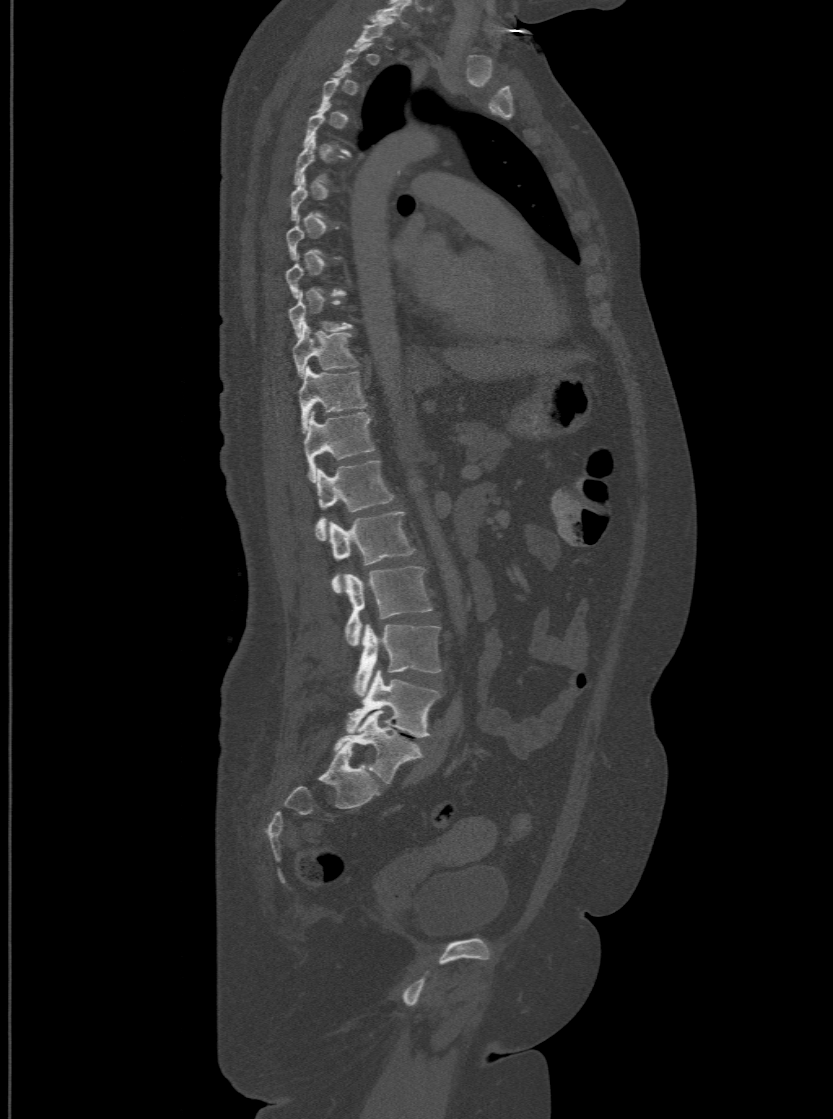

CT spine; sagittal reformat; 833x1119 px. Columns x1, y1, x2, y2 give each box's top-left and bottom-right pixels.
A vertebra gets a box only on the slices from the first to the last where its cross-section is at least a third of its largest; on a slice outside that range it gets none.
These labels give the spine a sixth lumbar vertebra, L6, below L5.
| vertebra | x1 | y1 | x2 | y2 |
|---|---|---|---|---|
| T9 | 288 | 290 | 352 | 336 |
| T10 | 293 | 322 | 357 | 376 |
| T11 | 298 | 365 | 367 | 431 |
| T12 | 303 | 410 | 373 | 481 |
| L1 | 316 | 458 | 393 | 539 |
| L2 | 329 | 510 | 414 | 593 |
| L3 | 345 | 566 | 432 | 645 |
| L4 | 355 | 624 | 440 | 697 |
| L5 | 347 | 671 | 438 | 737 |
| L6 | 335 | 711 | 422 | 783 |